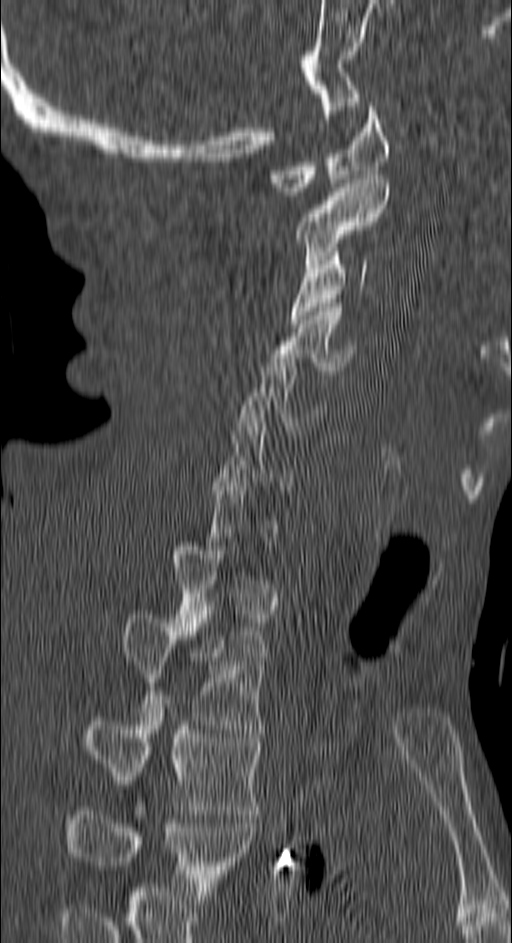

Spine computed tomography — sagittal view

In the table, x1 and y1 are a box's top-left corner and x2 and y2 its bottom-right corner, in pixels.
A vertebra gets a box only on the slices from the first to the last where its cross-section is at least a third of its largest; on a slice outside that range it gets none.
Labels in this scan begin with C1 at the top and end with T4 at the bottom.
| vertebra | x1 | y1 | x2 | y2 |
|---|---|---|---|---|
| C1 | 271 | 102 | 389 | 195 |
| C2 | 295 | 179 | 389 | 268 |
| C3 | 290 | 252 | 367 | 323 |
| C4 | 270 | 303 | 355 | 374 |
| C5 | 239 | 354 | 325 | 434 |
| T2 | 121 | 610 | 265 | 729 |
| T3 | 83 | 713 | 260 | 814 |
| T4 | 66 | 811 | 253 | 895 |